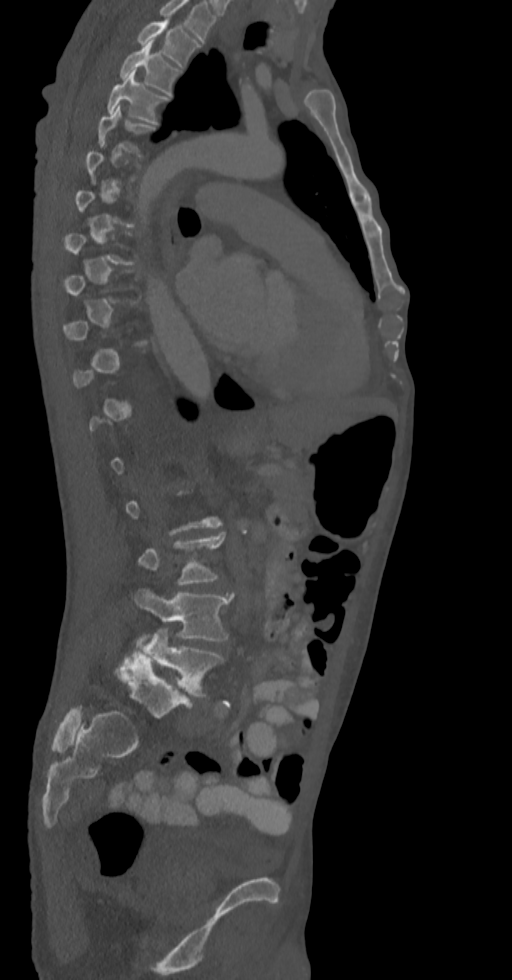 Computed tomography of the spine — sagittal view — the image spans 336 mm across
Each row gives a vertebra's box as x1, y1, x2, y2 in pixels: top-left corner, then bottom-right corner.
Each vertebra is boxed only on the slices from the first to the last where its cross-section reaches a third of its largest, so a slice outside that range leaves it unboxed.
Labels in this scan begin with T2 at the top and end with L5 at the bottom.
| vertebra | x1 | y1 | x2 | y2 |
|---|---|---|---|---|
| T2 | 137 | 18 | 198 | 66 |
| T3 | 120 | 41 | 179 | 95 |
| T4 | 108 | 72 | 168 | 124 |
| L4 | 135 | 590 | 232 | 641 |
| L5 | 140 | 629 | 224 | 697 |